CT; sagittal plane, index 185; 512x694 px
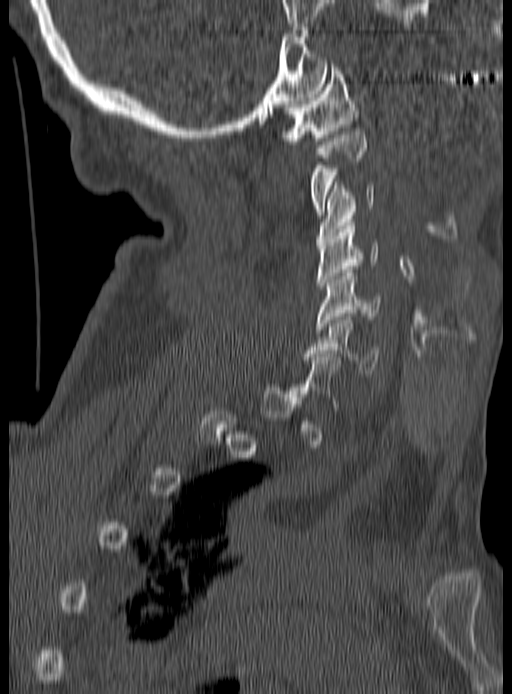 Coordinates as <box>x1,y1,x2,y2</box>. A vertebra is boxed only from the first to the last slice where its cross-section is at least a third of its largest; slices outside that range leave it without a box. Vertebrae labeled: C6 at <box>303,317,379,376</box>, C5 at <box>316,269,383,332</box>, C4 at <box>316,222,377,289</box>, C3 at <box>316,182,375,245</box>, C2 at <box>311,131,366,215</box>, C1 at <box>278,64,358,144</box>.